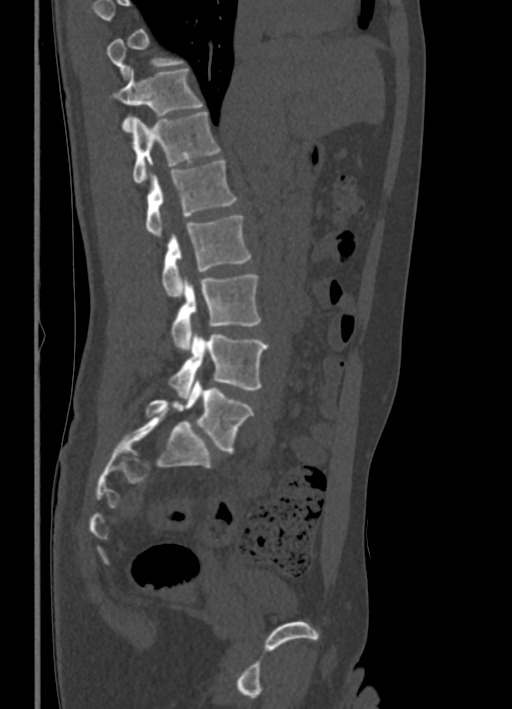
CT; 336 mm across the image; sagittal view
Boxes are (x1, y1, x2, y2) in pixels. A vertebra gets a box only on the slices from the first to the last where its cross-section is at least a third of its largest; on a slice outside that range it gets none. Vertebrae labeled: L5 at (146, 379, 253, 451), L4 at (169, 331, 267, 398), L3 at (172, 274, 261, 349), L2 at (163, 215, 250, 298), L1 at (146, 160, 237, 237), T12 at (116, 111, 220, 183), T11 at (109, 68, 203, 132).